CT. sagittal reformat. bone-window reconstruction. 17 vertebrae labeled in this scan
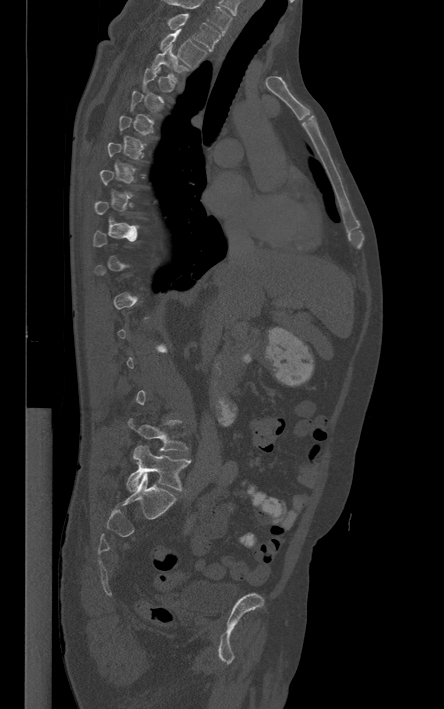 Columns x1, y1, x2, y2 give each box's top-left and bottom-right pixels.
A vertebra is boxed only from the first to the last slice where its cross-section is at least a third of its largest; slices outside that range leave it without a box.
This scan's labels start at T1 at the top and end at L5 at the bottom.
| vertebra | x1 | y1 | x2 | y2 |
|---|---|---|---|---|
| L5 | 126 | 445 | 190 | 491 |
| L4 | 128 | 419 | 187 | 450 |
| T3 | 152 | 45 | 187 | 82 |
| T2 | 159 | 30 | 206 | 67 |
| T1 | 168 | 14 | 220 | 50 |